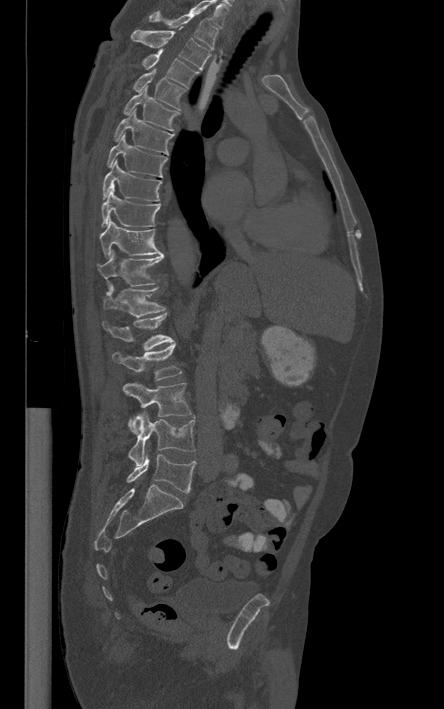 CT · sagittal view · bone window
Boxes are (x1, y1, x2, y2) in pixels.
In this scan, the topmost labeled vertebra is T1 and the lowest is L5.
T1: (149, 10, 217, 49)
T2: (131, 27, 210, 69)
T3: (142, 49, 197, 87)
T4: (133, 68, 185, 110)
T5: (122, 87, 179, 131)
T6: (114, 109, 172, 153)
T7: (108, 131, 166, 176)
T8: (103, 160, 161, 200)
T9: (101, 190, 160, 227)
T10: (99, 220, 163, 256)
T11: (97, 252, 163, 287)
T12: (103, 284, 164, 317)
L1: (102, 313, 174, 350)
L2: (112, 343, 181, 380)
L3: (123, 383, 191, 433)
L4: (128, 412, 194, 465)
L5: (127, 454, 195, 492)